CT · Sagittal slice 280/512 · bone window · scan covers 25 annotated vertebrae · a uniform gray block covers part of the image
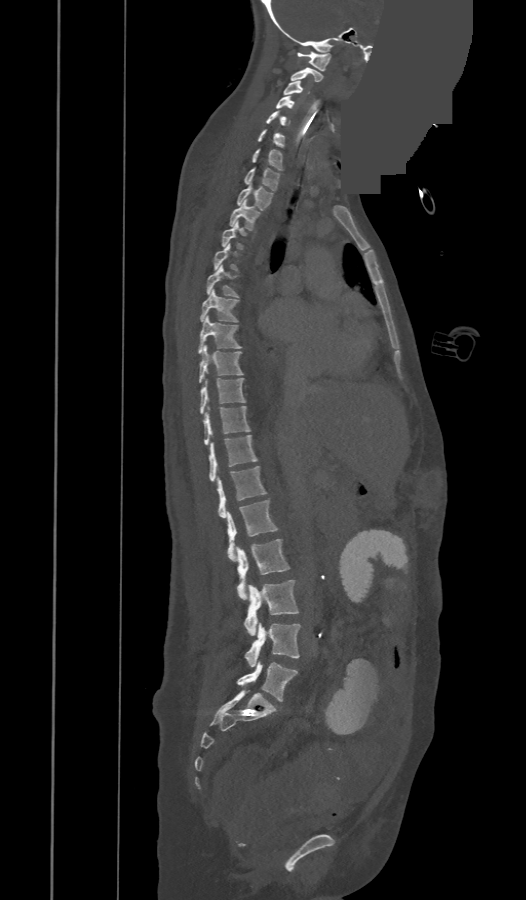
Each box is [x1, y1, x2, y2] in pixels: top-left corner, then bottom-right corner.
A vertebra is boxed only from the first to the last slice where its cross-section is at least a third of its largest; slices outside that range leave it without a box.
In these labels the spine has a T13, a thirteenth thoracic vertebra, between T12 and L1.
{"vertebrae":{"L5":[237,661,297,701],"L4":[245,622,300,667],"L3":[244,580,298,635],"L2":[237,539,288,599],"L1":[227,499,277,561],"T13":[217,466,266,517],"T12":[208,435,257,481],"T11":[203,406,250,444],"T10":[200,378,244,414],"T9":[198,346,242,382],"T8":[198,316,240,353],"T7":[201,289,237,321],"T6":[206,265,238,297],"T4":[222,221,242,248],"T3":[230,200,259,230],"T2":[237,183,272,210],"T1":[244,168,279,190],"C7":[253,149,282,170],"C6":[258,129,284,147],"C5":[267,110,285,125],"C4":[275,96,294,108],"C3":[283,80,309,95],"C2":[290,68,322,81],"C1":[297,51,331,71]}}